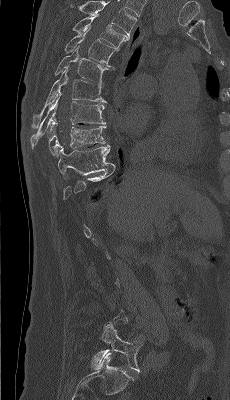

Computed tomography of the spine — sagittal view. In the table, x1 and y1 are a box's top-left corner and x2 and y2 its bottom-right corner, in pixels.
Each vertebra is boxed only on the slices from the first to the last where its cross-section reaches a third of its largest, so a slice outside that range leaves it unboxed.
The highest labeled vertebra in this scan is T4; the lowest is L5.
| vertebra | x1 | y1 | x2 | y2 |
|---|---|---|---|---|
| T4 | 73 | 14 | 128 | 49 |
| T5 | 64 | 27 | 118 | 68 |
| T6 | 55 | 46 | 108 | 86 |
| T7 | 31 | 69 | 106 | 127 |
| T8 | 30 | 91 | 105 | 148 |
| T9 | 48 | 119 | 106 | 156 |
| T10 | 58 | 145 | 115 | 180 |
| L5 | 91 | 325 | 142 | 372 |